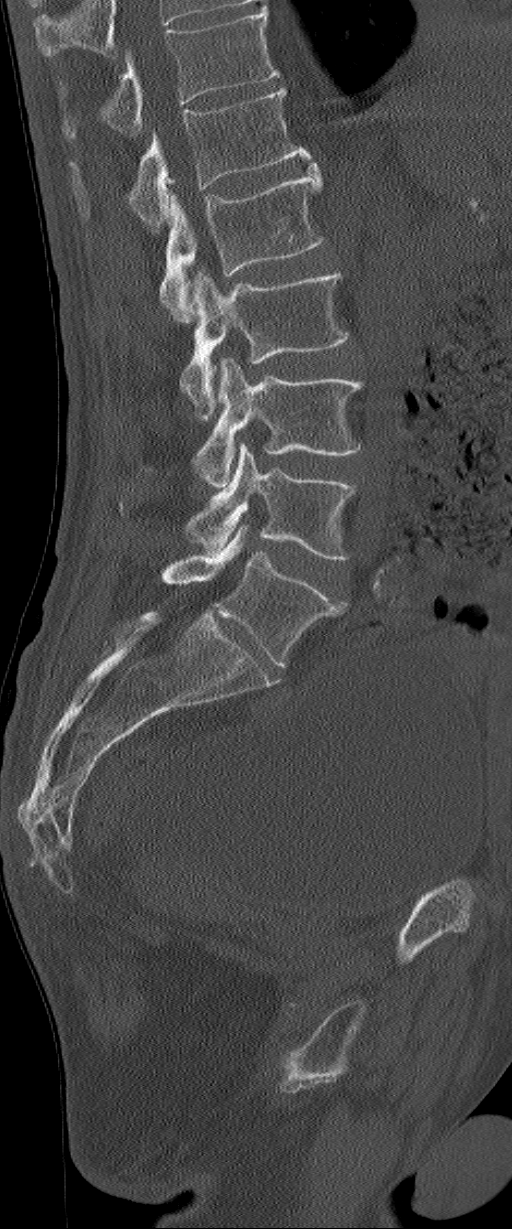
CT; sagittal view

Boxes are (x1, y1, x2, y2) in pixels.
Labels in this scan begin with L1 at the top and end with L6 at the bottom.
These labels give the spine a sixth lumbar vertebra, L6, below L5.
L1: (69, 87, 312, 231)
L2: (158, 164, 323, 320)
L3: (179, 269, 349, 415)
L4: (192, 358, 362, 486)
L5: (185, 442, 357, 559)
L6: (161, 526, 344, 667)